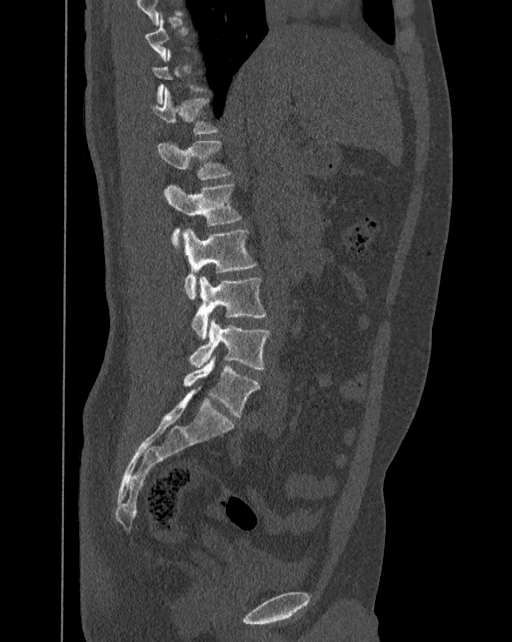 CT spine · sagittal view · 512x642 px · 392 mm image width. Coordinates as <box>x1,y1,x2,y2</box>.
A vertebra gets a box only on the slices from the first to the last where its cross-section is at least a third of its largest; on a slice outside that range it gets none.
In these labels the spine has an L6, a sixth lumbar vertebra below L5.
T12: <box>150,87,217,134</box>
L1: <box>157,140,230,180</box>
L2: <box>164,183,240,252</box>
L3: <box>183,228,256,299</box>
L4: <box>192,276,265,340</box>
L5: <box>189,317,269,369</box>
L6: <box>184,356,260,416</box>